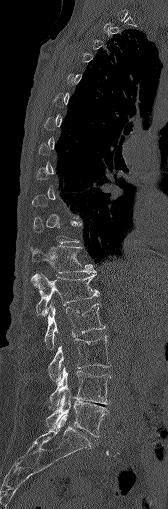 CT spine. sagittal view. W/L 1800/400 HU. 168x509 px
Boxes: x1 y1 x2 y2 (pixel coords, space-separated). Not every vertebra on this slice has a box: a vertebra is boxed only from the first to the last slice where its cross-section is at least a third of its largest, and this slice is outside that range for at least one of them. 6 vertebrae labeled — T12 at 30 246 96 273; L1 at 31 274 98 316; L2 at 45 303 104 348; L3 at 49 336 110 384; L4 at 49 367 110 410; L5 at 46 391 108 436.